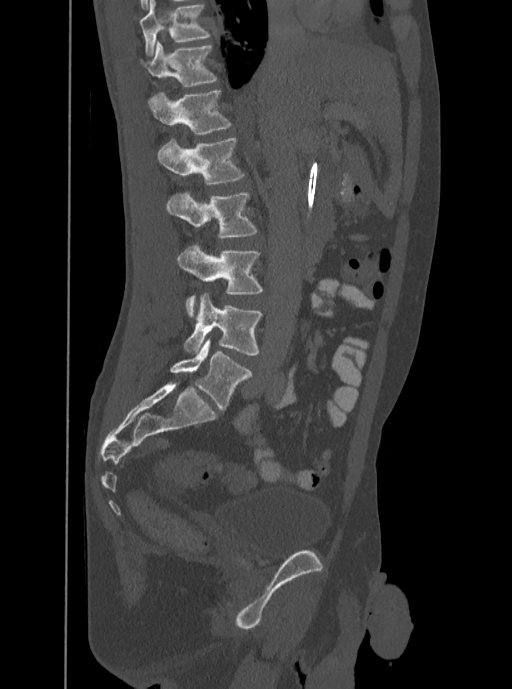 Spine CT; sagittal view; bone window; 512x689 px

Bounding boxes as [x1, y1, x2, y2] in pixel coordinates.
In this scan, the topmost labeled vertebra is T12 and the lowest is L5.
Vertebra bounding boxes:
- T12: [140, 41, 217, 86]
- L1: [149, 91, 231, 135]
- L2: [156, 137, 245, 185]
- L3: [165, 191, 256, 237]
- L4: [177, 244, 262, 316]
- L5: [184, 294, 262, 354]